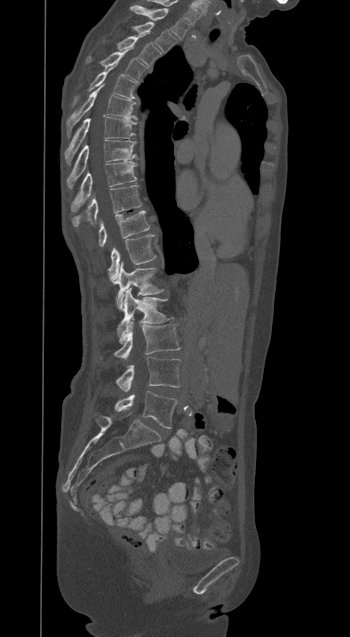

Computed tomography of the spine · image width 350 mm · sagittal view · 350x637 px
Box edges are left/top/right/bottom in pixels.
L5: left=115, top=391, right=177, bottom=428
L4: left=116, top=357, right=180, bottom=391
L3: left=114, top=319, right=180, bottom=359
L2: left=117, top=288, right=169, bottom=341
L1: left=116, top=263, right=163, bottom=310
T12: left=108, top=234, right=155, bottom=283
T11: left=99, top=211, right=149, bottom=247
T10: left=72, top=185, right=141, bottom=226
T9: left=71, top=161, right=136, bottom=212
T8: left=66, top=140, right=136, bottom=187
T7: left=65, top=116, right=136, bottom=163
T6: left=66, top=85, right=136, bottom=134
T5: left=75, top=67, right=135, bottom=100
T4: left=101, top=50, right=146, bottom=80
T3: left=117, top=36, right=161, bottom=66
T2: left=133, top=21, right=177, bottom=52
T1: left=130, top=5, right=188, bottom=38